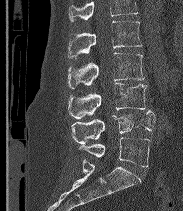

Spine CT — sagittal view — W/L 1800/400 HU — 183x211 px
Boxes: x1:y1:x2:y2 in pixels.
No box is given to a vertebra that the top edge of the scan cuts off.
The labels name a sixth lumbar vertebra for this spine: L6, after L5.
Vertebra bounding boxes:
- L2: 68:21:142:58
- L3: 68:53:144:89
- L4: 68:83:147:119
- L5: 71:110:155:143
- L6: 79:137:150:166